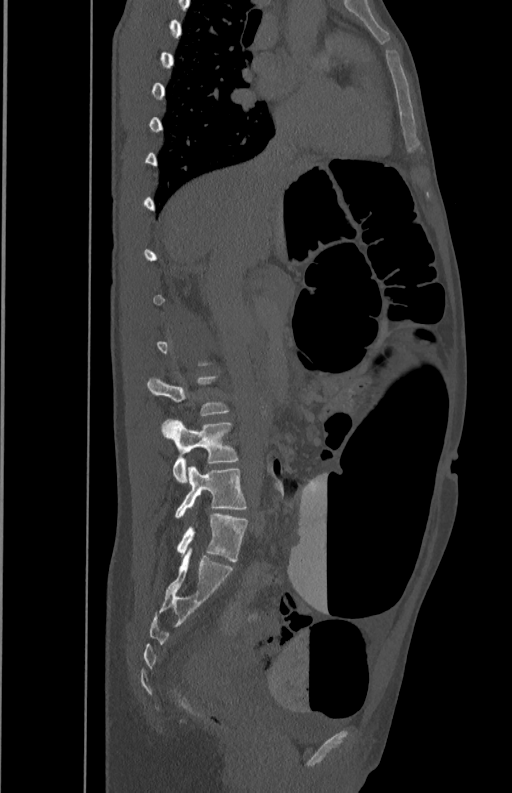
Spine computed tomography. sagittal reformat

Each box given as x1,y1,x2,y2.
Not every vertebra on this slice has a box: a vertebra is boxed only from the first to the last slice where its cross-section is at least a third of its largest, and this slice is outside that range for at least one of them.
Vertebra bounding boxes:
- L3: x1=148, y1=375, x2=228, y2=415
- L4: x1=162, y1=419, x2=239, y2=483
- L5: x1=175, y1=465, x2=247, y2=518